CT spine — sagittal reformat — image width 149 mm
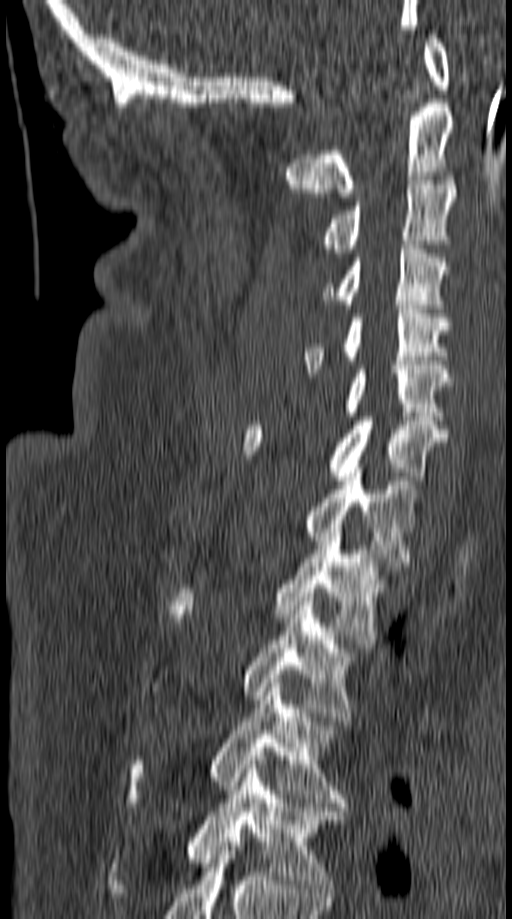
Box values are [left, top, right, bottom] in pixels.
{"vertebrae":{"T5":[108,760,344,897],"T4":[125,683,347,807],"T3":[242,597,358,721],"T2":[170,528,385,648],"T1":[304,468,417,566],"C7":[242,417,445,484],"C6":[282,365,450,420],"C5":[304,305,451,373],"C4":[323,245,447,308],"C3":[320,180,455,257],"C2":[286,99,454,197],"C1":[424,34,450,89]}}